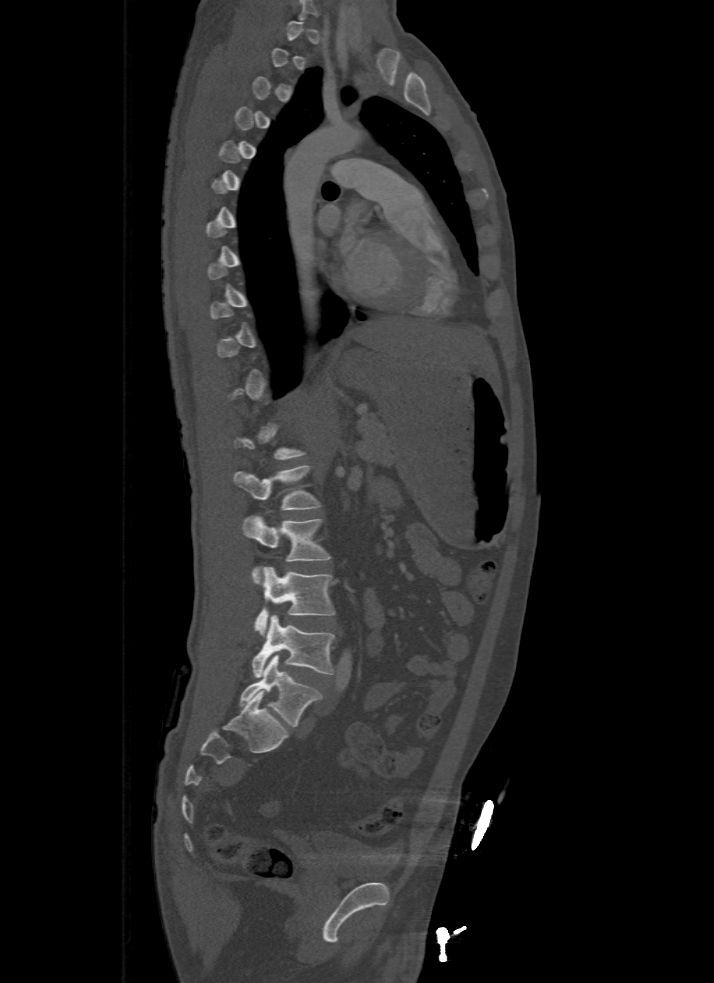

CT, spine · sagittal reformat · the image spans 500 mm across. Each box given as x1,y1,x2,y2.
A vertebra gets a box only on the slices from the first to the last where its cross-section is at least a third of its largest; on a slice outside that range it gets none.
L1: x1=234, y1=465, x2=320, y2=509
L2: x1=241, y1=515, x2=331, y2=578
L3: x1=254, y1=566, x2=335, y2=635
L4: x1=251, y1=615, x2=335, y2=677
L5: x1=240, y1=655, x2=321, y2=727